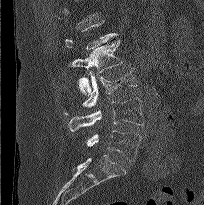
Computed tomography of the spine · sagittal view. Each box given as x1,y1,x2,y2.
Each vertebra is boxed only on the slices from the first to the last where its cross-section reaches a third of its largest, so a slice outside that range leaves it unboxed.
| vertebra | x1 | y1 | x2 | y2 |
|---|---|---|---|---|
| L2 | 68 | 39 | 122 | 95 |
| L3 | 63 | 68 | 137 | 114 |
| L4 | 68 | 98 | 144 | 131 |
| L5 | 86 | 130 | 141 | 161 |